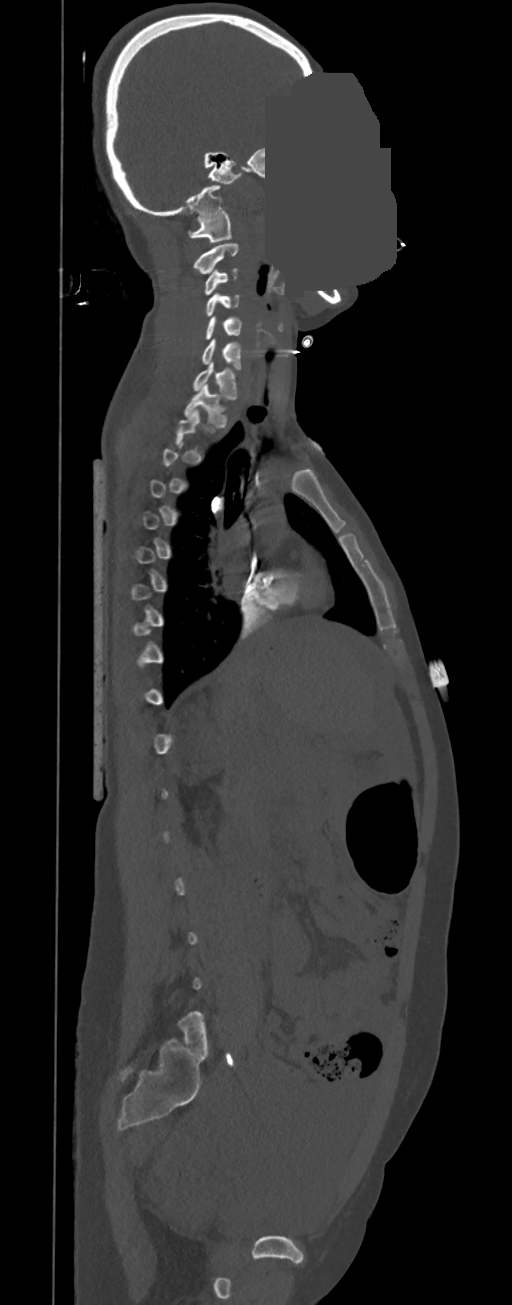 CT, spine. sagittal view. 512x1305 px. the image spans 350 mm across. a region is masked with a constant gray value. Each box given as x1,y1,x2,y2.
A vertebra gets a box only on the slices from the first to the last where its cross-section is at least a third of its largest; on a slice outside that range it gets none.
Vertebra bounding boxes:
- C1: x1=188, y1=211, x2=231, y2=243
- C2: x1=194, y1=244, x2=237, y2=274
- C3: x1=205, y1=269, x2=237, y2=295
- C4: x1=206, y1=294, x2=239, y2=316
- C5: x1=205, y1=316, x2=242, y2=339
- C6: x1=202, y1=340, x2=240, y2=369
- C7: x1=193, y1=362, x2=236, y2=399
- T1: x1=184, y1=384, x2=226, y2=427